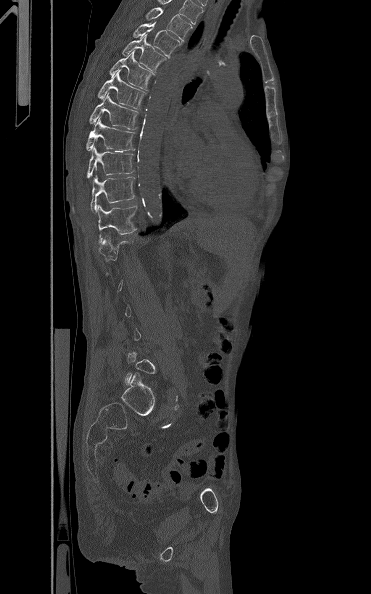 Spine computed tomography. image 371 mm wide. sagittal view. 371x594 px

Box edges are left/top/right/bottom in pixels.
A vertebra gets a box only on the slices from the first to the last where its cross-section is at least a third of its largest; on a slice outside that range it gets none.
Vertebra bounding boxes:
- T3: left=145, top=7, right=192, bottom=40
- T4: left=133, top=21, right=182, bottom=57
- T5: left=122, top=34, right=168, bottom=72
- T6: left=109, top=50, right=154, bottom=89
- T7: left=97, top=70, right=146, bottom=108
- T8: left=89, top=92, right=138, bottom=129
- T9: left=85, top=117, right=135, bottom=152
- T10: left=86, top=144, right=134, bottom=178
- T11: left=90, top=175, right=135, bottom=212
- T12: left=97, top=204, right=140, bottom=242